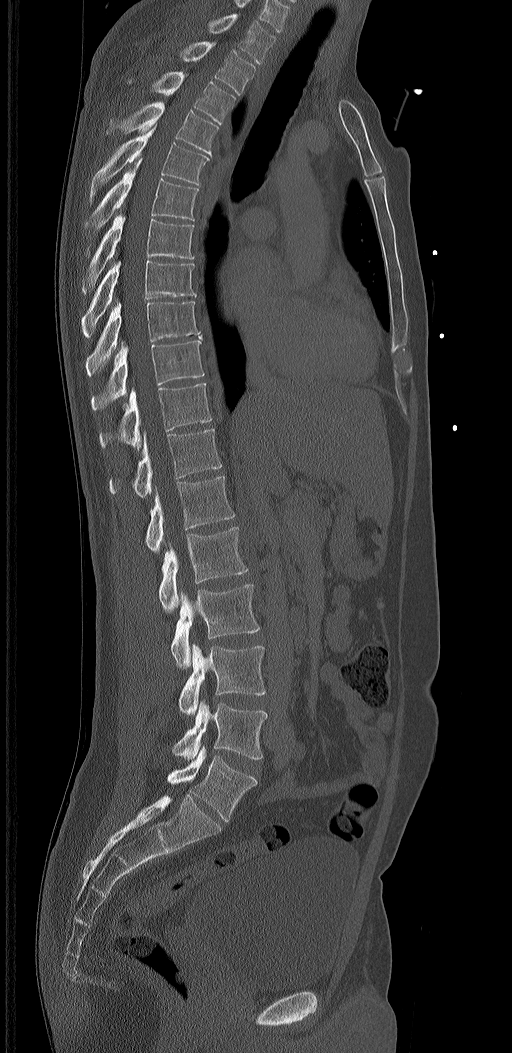
CT spine. sagittal view. bone-window reconstruction

These labels give the spine a sixth lumbar vertebra, L6, below L5.
<vertebrae><v name="T1" x1="208" y1="13" x2="275" y2="64"/><v name="T2" x1="180" y1="42" x2="255" y2="94"/><v name="T3" x1="128" y1="71" x2="235" y2="124"/><v name="T4" x1="106" y1="101" x2="219" y2="155"/><v name="T5" x1="88" y1="124" x2="209" y2="206"/><v name="T6" x1="84" y1="158" x2="198" y2="230"/><v name="T7" x1="82" y1="214" x2="195" y2="294"/><v name="T8" x1="82" y1="260" x2="196" y2="337"/><v name="T9" x1="85" y1="300" x2="200" y2="375"/><v name="T10" x1="92" y1="340" x2="204" y2="411"/><v name="T11" x1="100" y1="383" x2="212" y2="447"/><v name="T12" x1="109" y1="429" x2="222" y2="497"/><v name="L1" x1="146" y1="476" x2="235" y2="553"/><v name="L2" x1="159" y1="527" x2="247" y2="612"/><v name="L3" x1="172" y1="584" x2="260" y2="668"/><v name="L4" x1="178" y1="644" x2="265" y2="715"/><v name="L5" x1="172" y1="700" x2="267" y2="759"/><v name="L6" x1="167" y1="746" x2="257" y2="822"/></vertebrae>